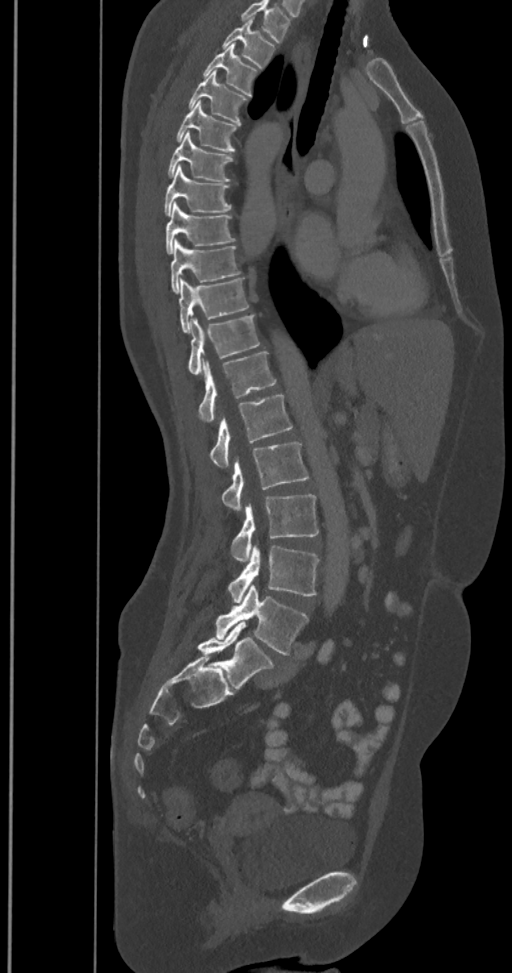

Computed tomography of the spine; sagittal reformat; bone-window reconstruction; 512x973 px
Box edges are left/top/right/bottom in pixels.
In this scan, the topmost labeled vertebra is T2 and the lowest is L6.
These labels give the spine a sixth lumbar vertebra, L6, below L5.
Vertebra bounding boxes:
- L6: left=197, top=623, right=274, bottom=690
- L5: left=215, top=585, right=307, bottom=655
- L4: left=228, top=545, right=319, bottom=602
- L3: left=231, top=495, right=319, bottom=561
- L2: left=221, top=442, right=309, bottom=511
- L1: left=210, top=394, right=291, bottom=468
- T12: left=199, top=352, right=275, bottom=422
- T11: left=188, top=315, right=259, bottom=374
- T10: left=178, top=278, right=249, bottom=333
- T9: left=171, top=238, right=240, bottom=294
- T8: left=165, top=203, right=234, bottom=254
- T7: left=164, top=166, right=231, bottom=216
- T6: left=167, top=132, right=233, bottom=182
- T5: left=175, top=100, right=237, bottom=152
- T4: left=187, top=71, right=247, bottom=124
- T3: left=203, top=42, right=258, bottom=96
- T2: left=222, top=18, right=274, bottom=67